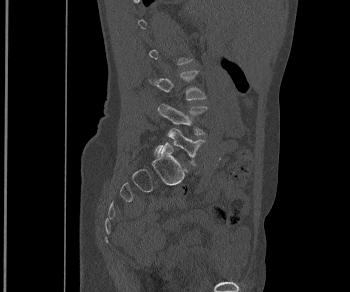 CT spine · sagittal view · 350x292 px. In the table, x1 and y1 are a box's top-left corner and x2 and y2 its bottom-right corner, in pixels.
Each vertebra is boxed only on the slices from the first to the last where its cross-section reaches a third of its largest, so a slice outside that range leaves it unboxed.
| vertebra | x1 | y1 | x2 | y2 |
|---|---|---|---|---|
| L3 | 149 | 70 | 205 | 100 |
| L4 | 157 | 103 | 207 | 134 |
| L5 | 154 | 128 | 205 | 165 |